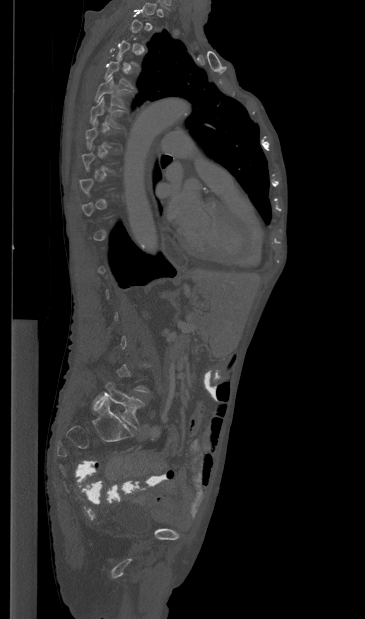
CT spine; sagittal view; W/L 1800/400 HU; 365x619 px

Each box given as x1,y1,x2,y2.
A vertebra gets a box only on the slices from the first to the last where its cross-section is at least a third of its largest; on a slice outside that range it gets none.
L5: x1=93, y1=382, x2=144, y2=428
T6: x1=90, y1=97, x2=123, y2=127
T5: x1=95, y1=75, x2=130, y2=107